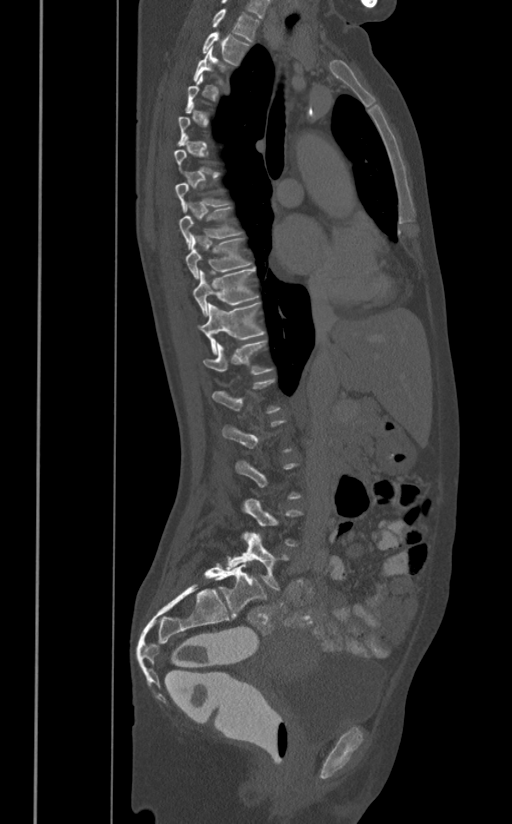 CT spine. sagittal view. bone-window reconstruction
A vertebra gets a box only on the slices from the first to the last where its cross-section is at least a third of its largest; on a slice outside that range it gets none.
<vertebrae><v name="T1" x1="212" y1="8" x2="259" y2="41"/><v name="T2" x1="202" y1="32" x2="250" y2="64"/><v name="T8" x1="179" y1="205" x2="242" y2="249"/><v name="T9" x1="186" y1="236" x2="252" y2="278"/><v name="T10" x1="192" y1="268" x2="258" y2="316"/><v name="T11" x1="199" y1="302" x2="265" y2="354"/><v name="T12" x1="203" y1="341" x2="273" y2="374"/><v name="L5" x1="225" y1="533" x2="288" y2="589"/></vertebrae>